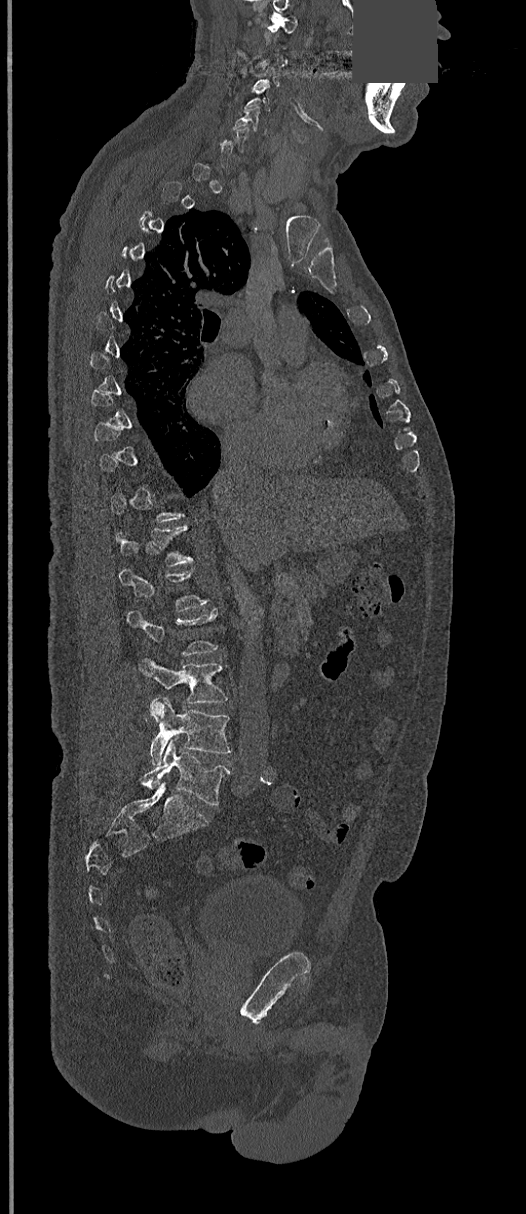 CT; sagittal view; Bone window (WL 400, WW 1800); 526x1214 px; a uniform gray block covers part of the image
A vertebra gets a box only on the slices from the first to the last where its cross-section is at least a third of its largest; on a slice outside that range it gets none.
<vertebrae><v name="C1" x1="267" y1="16" x2="298" y2="44"/><v name="C5" x1="233" y1="104" x2="267" y2="133"/><v name="T12" x1="115" y1="526" x2="193" y2="566"/><v name="L1" x1="118" y1="569" x2="207" y2="610"/><v name="L2" x1="127" y1="609" x2="218" y2="655"/><v name="L3" x1="139" y1="657" x2="227" y2="703"/><v name="L4" x1="150" y1="697" x2="232" y2="765"/><v name="L5" x1="142" y1="740" x2="230" y2="805"/></vertebrae>